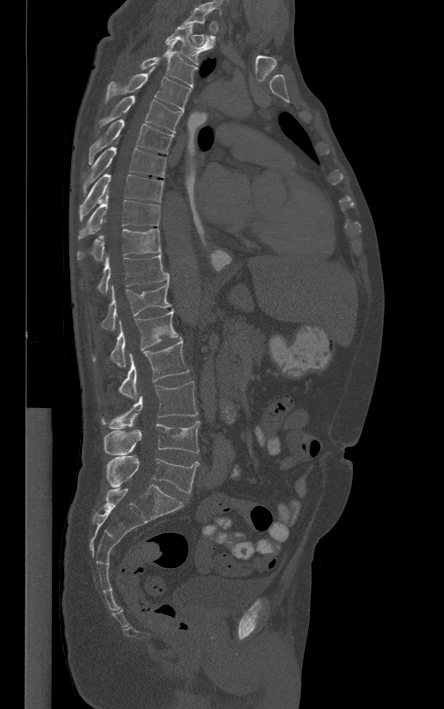 CT — sagittal view — 444x709 px — the image is 444 mm wide
Boxes are given in columns x1, y1, x2, y2, the pixel coordinates of their top-left and bottom-right corners.
A vertebra gets a box only on the slices from the first to the last where its cross-section is at least a third of its largest; on a slice outside that range it gets none.
| vertebra | x1 | y1 | x2 | y2 |
|---|---|---|---|---|
| T2 | 164 | 22 | 212 | 65 |
| T3 | 139 | 40 | 197 | 87 |
| T4 | 106 | 65 | 190 | 112 |
| T5 | 97 | 95 | 182 | 133 |
| T6 | 88 | 119 | 173 | 164 |
| T7 | 83 | 135 | 166 | 192 |
| T8 | 79 | 174 | 163 | 218 |
| T9 | 79 | 191 | 160 | 238 |
| T10 | 78 | 228 | 160 | 260 |
| T11 | 98 | 254 | 169 | 294 |
| T12 | 101 | 277 | 170 | 331 |
| L1 | 93 | 309 | 178 | 367 |
| L2 | 119 | 339 | 189 | 399 |
| L3 | 101 | 381 | 197 | 428 |
| L4 | 103 | 421 | 199 | 455 |
| L5 | 107 | 456 | 199 | 493 |